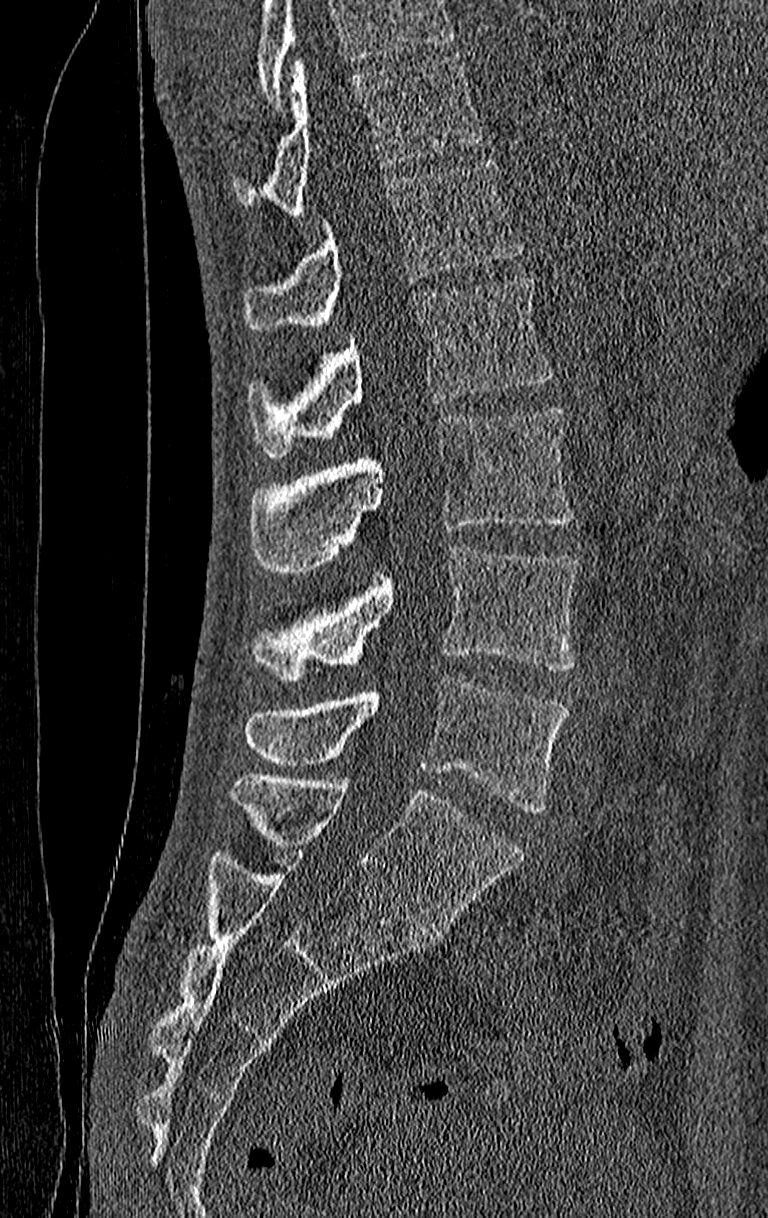 Spine computed tomography. sagittal view. Bone window (WL 400, WW 1800). 768x1218 px. the image is 210 mm wide. Each box given as x1,y1,x2,y2.
Where the top of the scan cuts through a vertebra, that vertebra gets no label or box.
Labels in this scan begin with T11 at the top and end with L4 at the bottom.
L4: x1=244, y1=678, x2=568, y2=812
L3: x1=251, y1=546, x2=579, y2=680
L2: x1=247, y1=406, x2=572, y2=573
L1: x1=247, y1=278, x2=554, y2=457
T12: x1=244, y1=158, x2=524, y2=330
T11: x1=233, y1=53, x2=480, y2=216